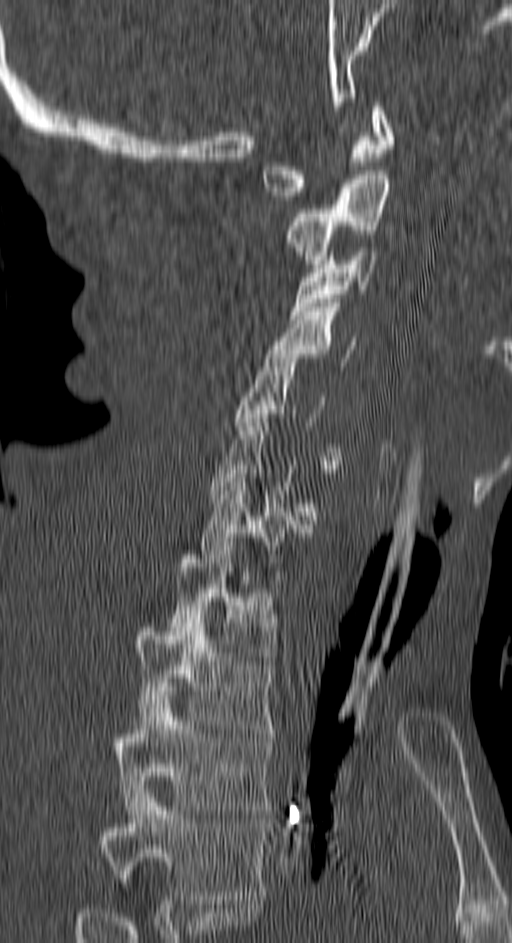
Spine computed tomography. sagittal view. bone window
Boxes: x1 y1 x2 y2 (pixel coords, space-separated).
A vertebra gets a box only on the slices from the first to the last where its cross-section is at least a third of its largest; on a slice outside that range it gets none.
The highest labeled vertebra in this scan is C1; the lowest is T4.
Vertebra bounding boxes:
- T4: 100 789 266 904
- T3: 114 691 270 814
- T2: 134 614 274 733
- T1: 168 542 277 660
- C7: 199 474 308 584
- C5: 235 354 342 473
- C4: 266 303 355 366
- C3: 291 247 376 319
- C2: 285 171 389 268
- C1: 264 102 393 200